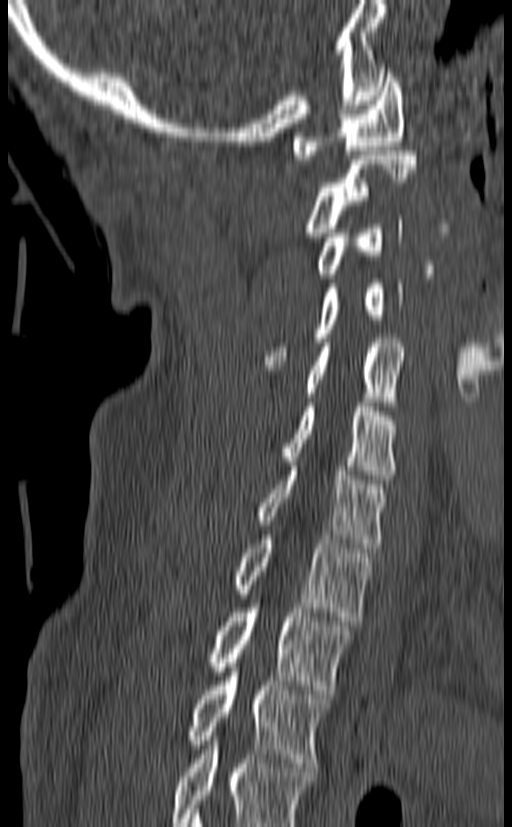 CT — the image spans 140 mm across — sagittal reformat

Box edges are left/top/right/bottom in pixels.
Labels in this scan begin with C1 at the top and end with T3 at the bottom.
Vertebra bounding boxes:
- C1: left=294, top=69, right=404, bottom=159
- C2: left=305, top=151, right=417, bottom=237
- C3: left=316, top=215, right=402, bottom=278
- C4: left=263, top=279, right=403, bottom=365
- C5: left=305, top=338, right=406, bottom=406
- C6: left=282, top=402, right=397, bottom=479
- C7: left=257, top=462, right=384, bottom=552
- T1: left=233, top=530, right=370, bottom=621
- T2: left=210, top=599, right=352, bottom=694
- T3: left=188, top=667, right=329, bottom=767